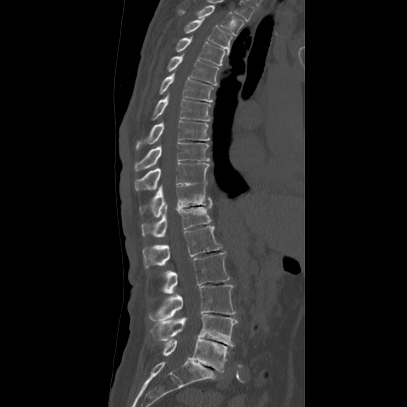

CT spine · sagittal view · image width 407 mm · bone window
Each row gives a vertebra's box as x1, y1, x2, y2 in pixels: top-left corner, then bottom-right corner.
| vertebra | x1 | y1 | x2 | y2 |
|---|---|---|---|---|
| T2 | 178 | 5 | 244 | 35 |
| T3 | 184 | 17 | 232 | 54 |
| T4 | 175 | 36 | 225 | 65 |
| T5 | 167 | 53 | 219 | 85 |
| T6 | 159 | 71 | 213 | 101 |
| T7 | 151 | 90 | 210 | 121 |
| T8 | 135 | 120 | 209 | 149 |
| T9 | 133 | 142 | 209 | 170 |
| T10 | 133 | 162 | 209 | 191 |
| T11 | 139 | 185 | 213 | 217 |
| T12 | 140 | 205 | 212 | 238 |
| L1 | 142 | 226 | 221 | 267 |
| L2 | 160 | 252 | 229 | 294 |
| L3 | 148 | 285 | 235 | 321 |
| L4 | 151 | 314 | 237 | 346 |
| L5 | 162 | 337 | 227 | 372 |